Spine computed tomography; 322 mm across the image; sagittal plane, index 224; 512x477 px
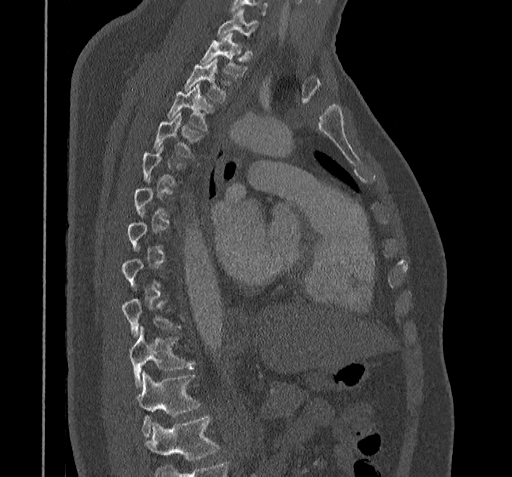

Boxes are (x1, y1, x2, y2) in pixels. Not every vertebra on this slice has a box: a vertebra is boxed only from the first to the last slice where its cross-section is at least a third of its largest, and this slice is outside that range for at least one of them. A vertebra cut off by the bottom edge of the scan is not labeled and has no box. 8 vertebrae labeled — C7 at (216, 9, 258, 43); T1 at (199, 33, 247, 78); T2 at (183, 59, 231, 103); T3 at (167, 84, 215, 132); T4 at (152, 113, 202, 158); T9 at (122, 299, 180, 337); T10 at (130, 326, 194, 387); T11 at (138, 372, 201, 437).